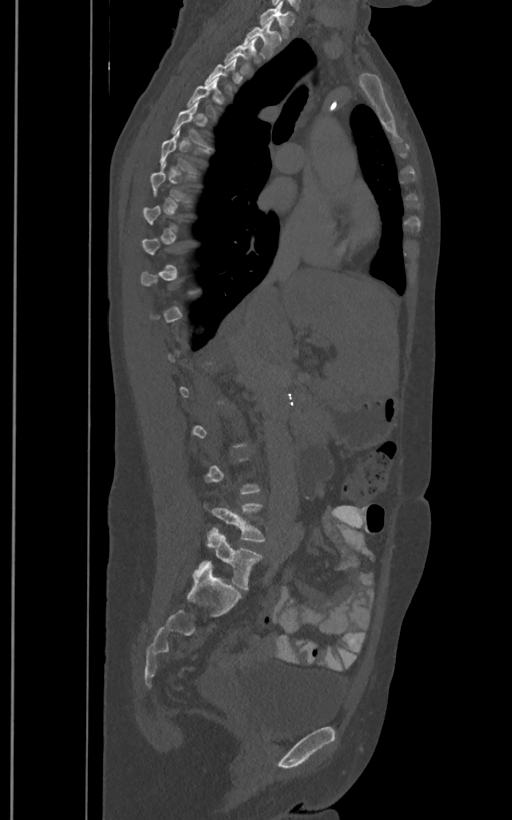 Spine CT; sagittal view; W/L 1800/400 HU. Each row gives a vertebra's box as x1, y1, x2, y2 in pixels: top-left corner, then bottom-right corner.
A vertebra gets a box only on the slices from the first to the last where its cross-section is at least a third of its largest; on a slice outside that range it gets none.
The labels name a sixth lumbar vertebra for this spine: L6, after L5.
| vertebra | x1 | y1 | x2 | y2 |
|---|---|---|---|---|
| T1 | 260 | 6 | 295 | 37 |
| T2 | 243 | 18 | 281 | 58 |
| T3 | 224 | 38 | 256 | 73 |
| L5 | 203 | 503 | 266 | 542 |
| L6 | 200 | 528 | 263 | 589 |